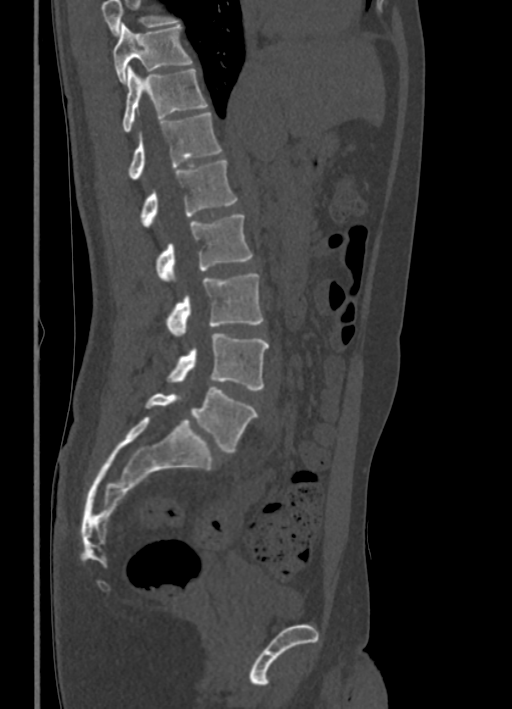

CT, spine · sagittal view · bone-window reconstruction · 512x709 px. Each box given as x1,y1,x2,y2.
No box is given to a vertebra that the top edge of the scan cuts off.
| vertebra | x1 | y1 | x2 | y2 |
|---|---|---|---|---|
| L5 | 145 | 387 | 258 | 451 |
| L4 | 167 | 334 | 269 | 390 |
| L3 | 166 | 273 | 262 | 336 |
| L2 | 157 | 215 | 252 | 281 |
| L1 | 140 | 160 | 237 | 226 |
| T12 | 128 | 112 | 221 | 178 |
| T11 | 122 | 67 | 208 | 132 |
| T10 | 113 | 23 | 192 | 83 |